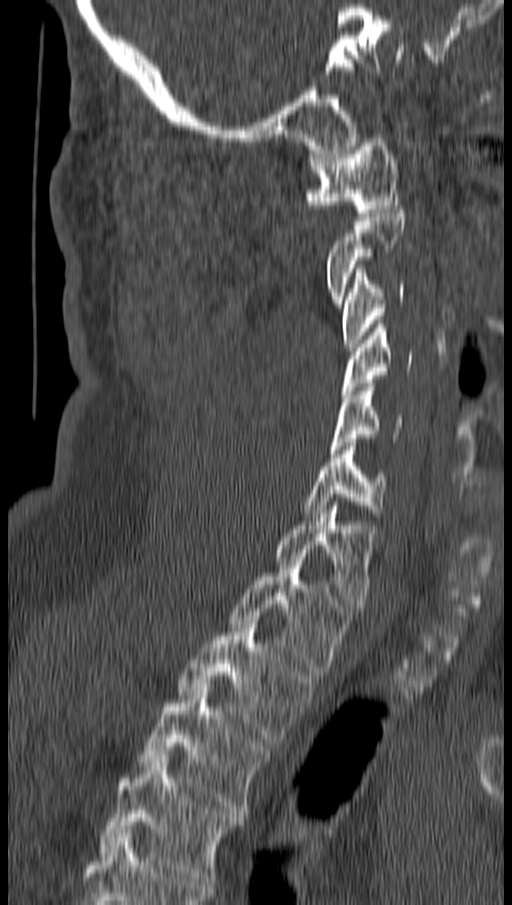

CT. sagittal view. 512x905 px
A vertebra is boxed only from the first to the last slice where its cross-section is at least a third of its largest; slices outside that range leave it without a box.
<vertebrae><v name="C1" x1="304" y1="138" x2="399" y2="216"/><v name="C3" x1="342" y1="269" x2="405" y2="351"/><v name="C4" x1="342" y1="324" x2="412" y2="398"/><v name="C5" x1="330" y1="383" x2="401" y2="453"/><v name="C6" x1="304" y1="442" x2="386" y2="517"/><v name="C7" x1="276" y1="502" x2="373" y2="611"/><v name="T1" x1="229" y1="557" x2="351" y2="675"/><v name="T2" x1="178" y1="620" x2="313" y2="742"/><v name="T3" x1="140" y1="687" x2="269" y2="817"/><v name="T4" x1="99" y1="755" x2="243" y2="884"/></vertebrae>